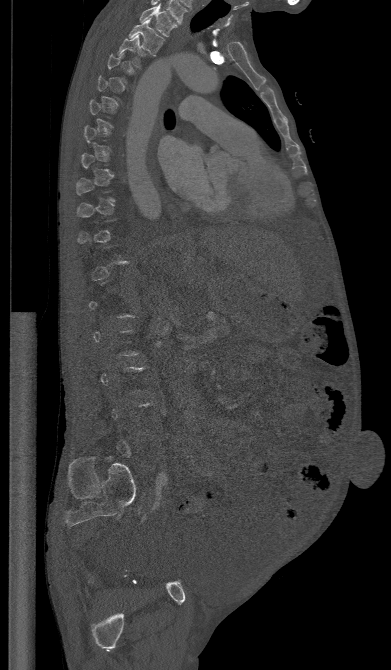

CT spine; sagittal view; 391x670 px

Each box given as x1,y1,x2,y2.
Not every vertebra on this slice has a box: a vertebra is boxed only from the first to the last slice where its cross-section is at least a third of its largest, and this slice is outside that range for at least one of them.
| vertebra | x1 | y1 | x2 | y2 |
|---|---|---|---|---|
| T1 | 140 | 5 | 177 | 36 |
| T2 | 128 | 18 | 164 | 56 |
| T3 | 117 | 34 | 147 | 68 |